Spine CT; sagittal view; 527x755 px
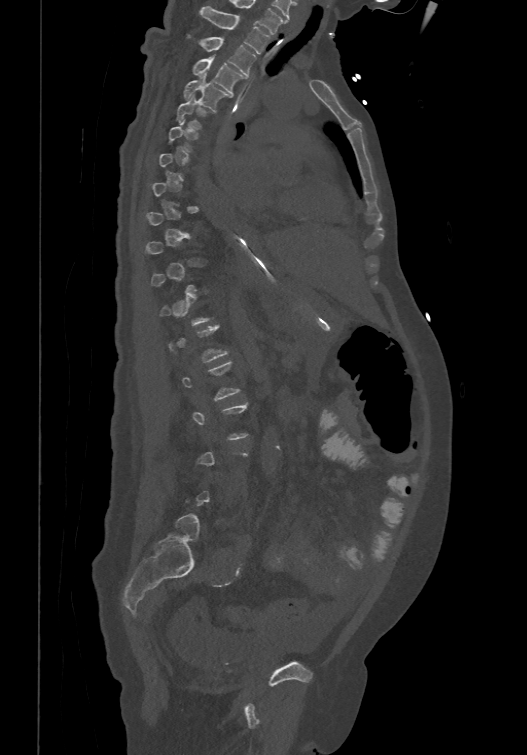
Box edges are left/top/right/bottom in pixels.
A vertebra gets a box only on the slices from the first to the last where its cross-section is at least a third of its largest; on a slice outside that range it gets none.
| vertebra | x1 | y1 | x2 | y2 |
|---|---|---|---|---|
| T5 | 176 | 94 | 209 | 129 |
| T4 | 183 | 73 | 230 | 110 |
| T3 | 192 | 55 | 244 | 92 |
| T2 | 189 | 35 | 255 | 75 |
| T1 | 200 | 5 | 269 | 53 |